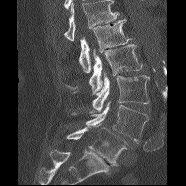 Computed tomography of the spine — the image spans 186 mm across — sagittal view

Each box is [x1, y1, x2, y2] in pixels: top-left corner, then bottom-right corner.
Where the top of the scan cuts through a vertebra, that vertebra gets no label or box.
{"vertebrae":{"L1":[79,19,130,72],"L2":[66,44,142,94],"L3":[73,72,149,113],"L4":[71,101,148,143],"L5":[66,127,127,165]}}